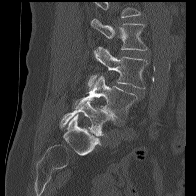

CT spine; sagittal reformat; the image is 196 mm wide
Boxes are (x1, y1, x2, y2) in pixels.
Where the top of the scan cuts through a vertebra, that vertebra gets no label or box.
L2: (91, 18, 147, 50)
L3: (88, 47, 148, 89)
L4: (74, 75, 137, 121)
L5: (60, 102, 114, 136)